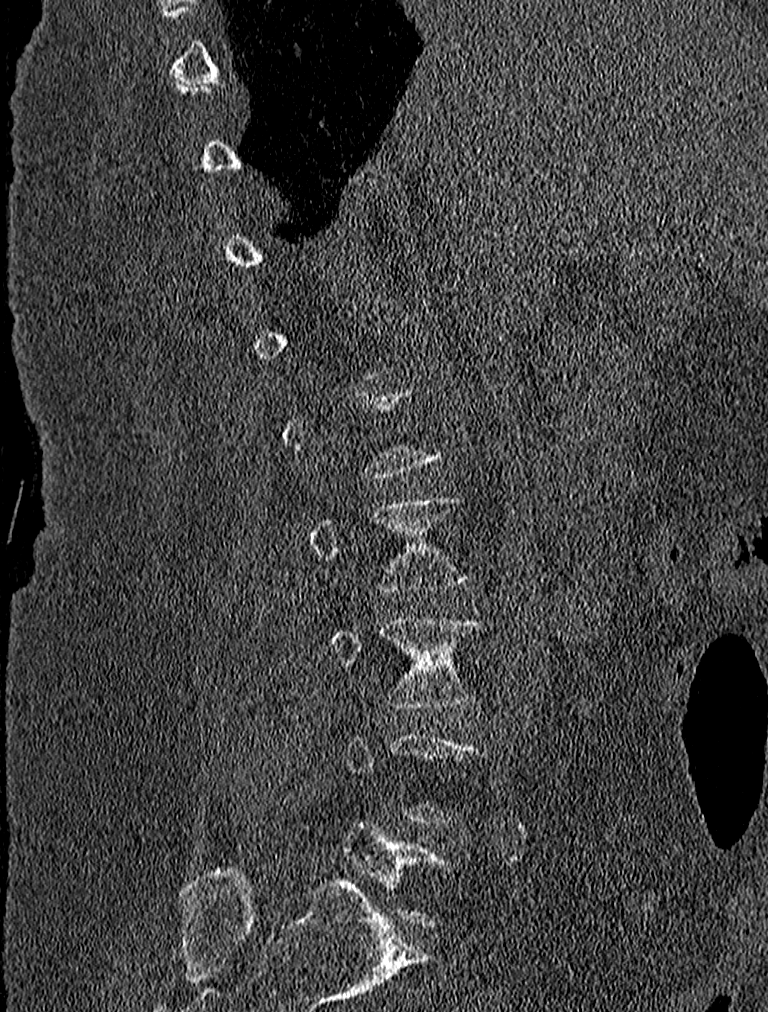 CT; sagittal view; image width 227 mm; bone-window reconstruction. Boxes: x1:y1:x2:y2 in pixels.
A vertebra is boxed only from the first to the last slice where its cross-section is at least a third of its largest; slices outside that range leave it without a box.
L2: 307:495:471:593
L3: 330:615:482:708